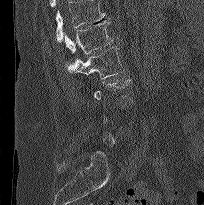
Spine CT. sagittal view
Bounding boxes as [x1, y1, x2, y2] in pixel coordinates.
Not every vertebra on this slice has a box: a vertebra is boxed only from the first to the last slice where its cross-section is at least a third of its largest, and this slice is outside that range for at least one of them.
A vertebra cut off by the top edge of the scan is not labeled and has no box.
L2: [67, 46, 124, 81]
L1: [64, 20, 113, 67]